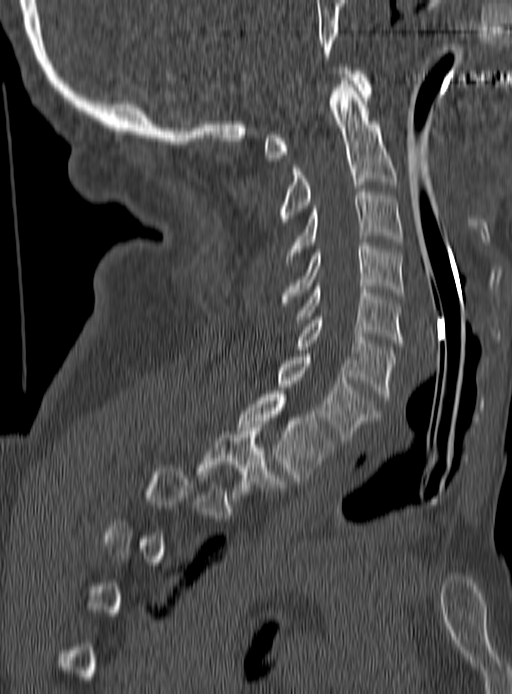

CT — sagittal view — W/L 1800/400 HU — 512x694 px

Boxes below are [x1, y1, x2, y2] in pixels.
Not every vertebra on this slice has a box: a vertebra is boxed only from the first to the last slice where its cross-section is at least a third of its largest, and this slice is outside that range for at least one of them.
{"vertebrae":{"T2":[198,424,285,498],"T1":[238,391,334,481],"C7":[278,354,380,440],"C6":[297,317,396,400],"C5":[295,283,401,343],"C4":[281,243,404,302],"C3":[286,189,401,265],"C2":[278,77,396,225],"C1":[264,67,371,161]}}